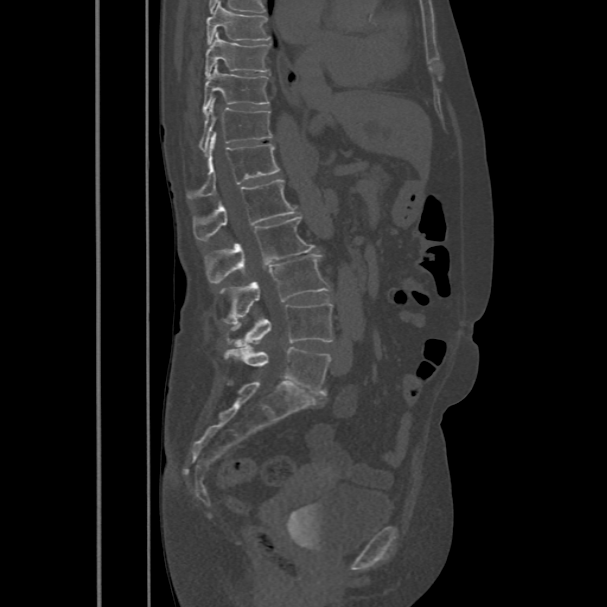

CT, spine. sagittal view. W/L 1800/400 HU. the image spans 486 mm across
<vertebrae><v name="L5" x1="224" y1="346" x2="330" y2="395"/><v name="L4" x1="228" y1="302" x2="332" y2="346"/><v name="L3" x1="223" y1="255" x2="330" y2="324"/><v name="L2" x1="205" y1="216" x2="315" y2="282"/><v name="L1" x1="192" y1="178" x2="298" y2="240"/><v name="T12" x1="187" y1="132" x2="279" y2="199"/><v name="T11" x1="199" y1="98" x2="272" y2="153"/><v name="T10" x1="203" y1="63" x2="269" y2="115"/><v name="T9" x1="205" y1="32" x2="269" y2="77"/><v name="T8" x1="206" y1="1" x2="271" y2="44"/></vertebrae>